Spine CT. sagittal view. 186x206 px
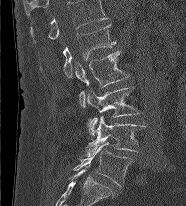

Labels in this scan begin with L1 at the top and end with L5 at the bottom.
<vertebrae><v name="L1" x1="63" y1="24" x2="115" y2="77"/><v name="L2" x1="75" y1="50" x2="129" y2="106"/><v name="L3" x1="87" y1="86" x2="140" y2="136"/><v name="L4" x1="86" y1="116" x2="145" y2="156"/><v name="L5" x1="73" y1="142" x2="132" y2="186"/></vertebrae>